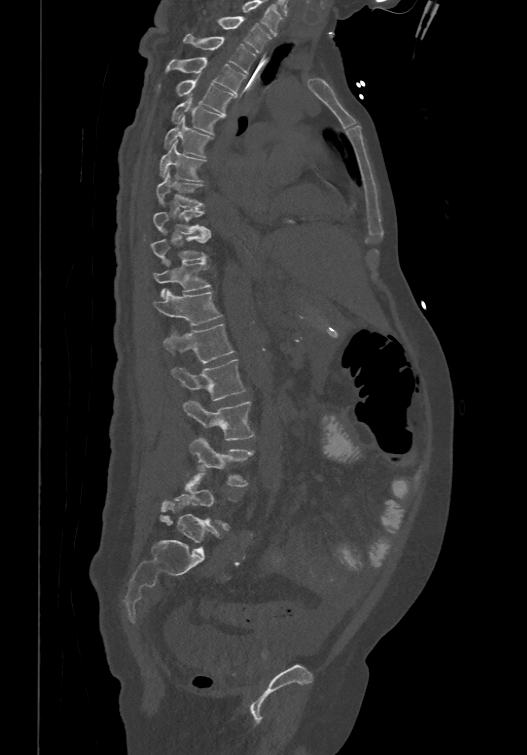
Spine CT. sagittal reformat. W/L 1800/400 HU. 527x755 px
Each box given as x1,y1,x2,y2.
Labels in this scan begin with T1 at the top and end with L6 at the bottom.
These labels give the spine a sixth lumbar vertebra, L6, below L5.
| vertebra | x1 | y1 | x2 | y2 |
|---|---|---|---|---|
| T1 | 217 | 15 | 270 | 52 |
| T2 | 183 | 32 | 255 | 73 |
| T3 | 166 | 56 | 247 | 93 |
| T4 | 177 | 73 | 235 | 114 |
| T5 | 172 | 94 | 223 | 133 |
| T6 | 165 | 115 | 211 | 156 |
| T7 | 160 | 140 | 205 | 180 |
| T8 | 155 | 171 | 204 | 206 |
| T9 | 152 | 208 | 210 | 233 |
| T10 | 150 | 233 | 211 | 263 |
| T11 | 153 | 260 | 210 | 297 |
| T12 | 153 | 288 | 221 | 324 |
| L1 | 164 | 323 | 234 | 362 |
| L2 | 171 | 358 | 246 | 401 |
| L3 | 183 | 401 | 253 | 440 |
| L4 | 190 | 437 | 253 | 486 |
| L5 | 160 | 472 | 227 | 528 |
| L6 | 164 | 501 | 219 | 555 |